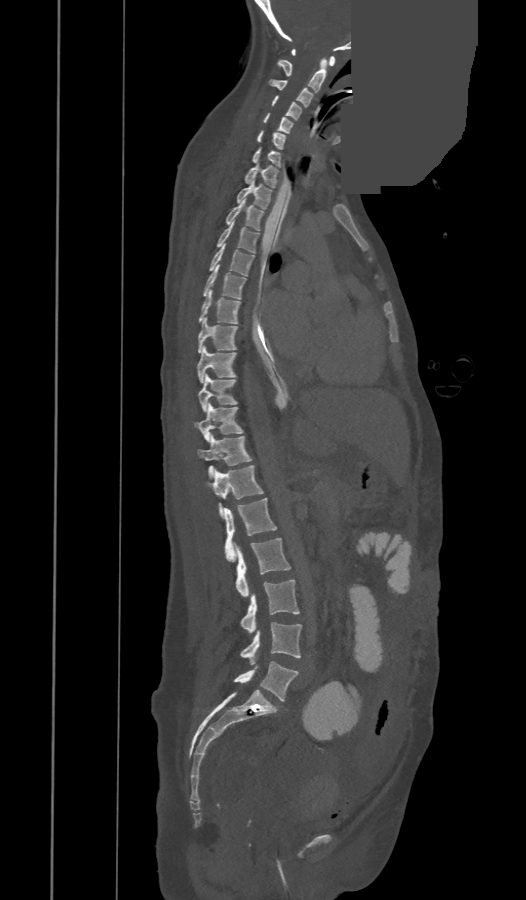

Computed tomography of the spine — sagittal view — 526x900 px — part of the image is a flat gray fill, not anatomy
Box edges are left/top/right/bottom in pixels.
The labels name an extra thoracic vertebra here, T13, which comes after T12 and before L1.
| vertebra | x1 | y1 | x2 | y2 |
|---|---|---|---|---|
| C1 | 292 | 49 | 335 | 66 |
| C2 | 276 | 59 | 326 | 92 |
| C3 | 269 | 79 | 312 | 107 |
| C4 | 272 | 96 | 301 | 119 |
| C5 | 263 | 113 | 293 | 132 |
| C6 | 258 | 130 | 284 | 149 |
| C7 | 253 | 147 | 280 | 167 |
| T1 | 244 | 163 | 278 | 187 |
| T2 | 237 | 179 | 271 | 208 |
| T3 | 226 | 199 | 262 | 230 |
| T4 | 217 | 221 | 259 | 252 |
| T5 | 209 | 243 | 254 | 276 |
| T6 | 203 | 265 | 245 | 299 |
| T7 | 199 | 290 | 240 | 324 |
| T8 | 198 | 317 | 237 | 352 |
| T9 | 197 | 347 | 236 | 382 |
| T10 | 198 | 376 | 237 | 411 |
| T11 | 195 | 403 | 242 | 441 |
| T12 | 198 | 436 | 252 | 477 |
| T13 | 205 | 466 | 264 | 516 |
| L1 | 225 | 498 | 277 | 561 |
| L2 | 233 | 538 | 291 | 597 |
| L3 | 241 | 579 | 299 | 634 |
| L4 | 240 | 622 | 301 | 665 |
| L5 | 234 | 661 | 298 | 701 |